CT · sagittal plane, index 192
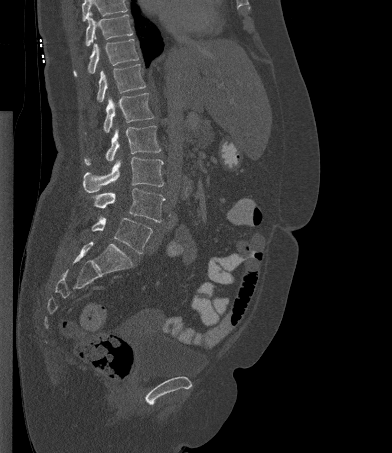

Coordinates as <box>x1,y1,x2,y2</box>.
No box is given to a vertebra that the top edge of the scan cuts off.
T10: <box>85,14,133,46</box>
T11: <box>73,39,138,76</box>
T12: <box>97,64,145,102</box>
L1: <box>85,93,153,133</box>
L2: <box>84,126,161,165</box>
L3: <box>83,157,163,192</box>
L4: <box>92,188,165,222</box>
L5: <box>91,216,152,254</box>